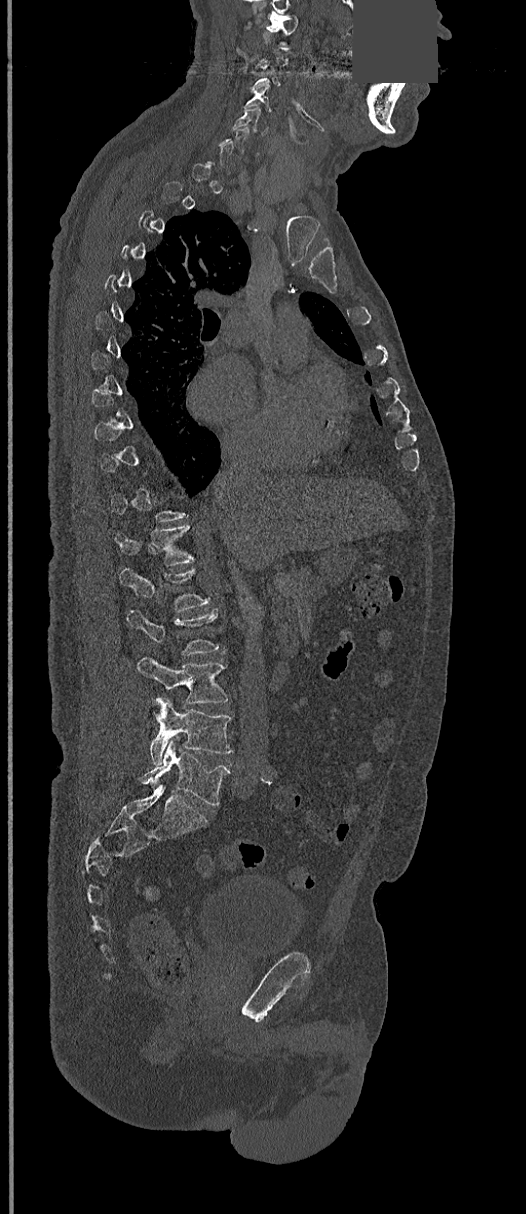

CT, spine. sagittal view. W/L 1800/400 HU. a portion of the image is blanked out (constant pixel value)
Boxes are (x1, y1, x2, y2) in pixels. A vertebra is boxed only from the first to the last slice where its cross-section is at least a third of its largest; slices outside that range leave it without a box. Vertebrae labeled: C1 at (265, 16, 298, 44), C4 at (244, 87, 272, 110), C5 at (233, 104, 268, 133), T12 at (114, 524, 194, 566), L1 at (120, 567, 211, 610), L2 at (127, 609, 219, 655), L3 at (137, 656, 229, 703), L4 at (150, 697, 233, 765), L5 at (140, 740, 230, 805).